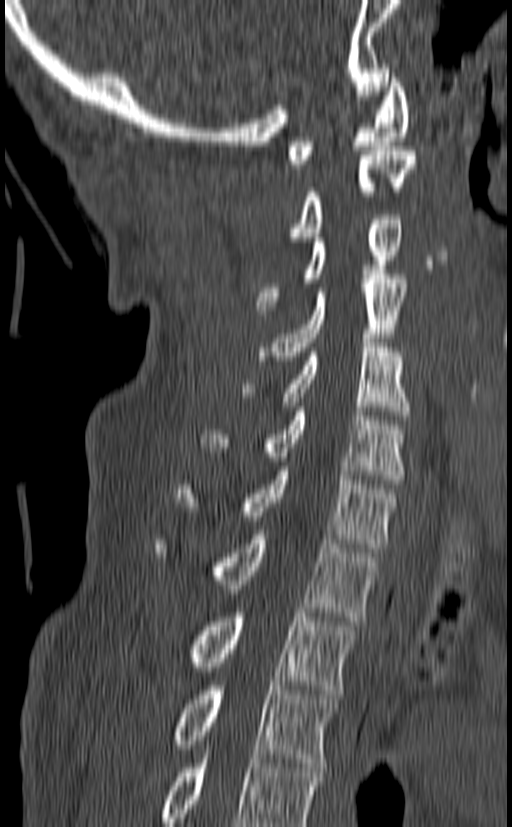 Spine computed tomography; sagittal view; bone-window reconstruction; image 140 mm wide
Coordinates as <box>x1,y1,x2,y2</box>.
The highest labeled vertebra in this scan is C1; the lowest is T3.
Vertebra bounding boxes:
- T3: <box>170,686,337,767</box>
- T2: <box>184,608,356,694</box>
- T1: <box>153,530,377,621</box>
- C7: <box>177,466,399,552</box>
- C6: <box>199,407,406,484</box>
- C5: <box>242,338,410,420</box>
- C4: <box>259,274,407,360</box>
- C3: <box>256,215,402,314</box>
- C2: <box>286,146,416,241</box>
- C1: <box>287,69,409,168</box>